Spine computed tomography · sagittal view
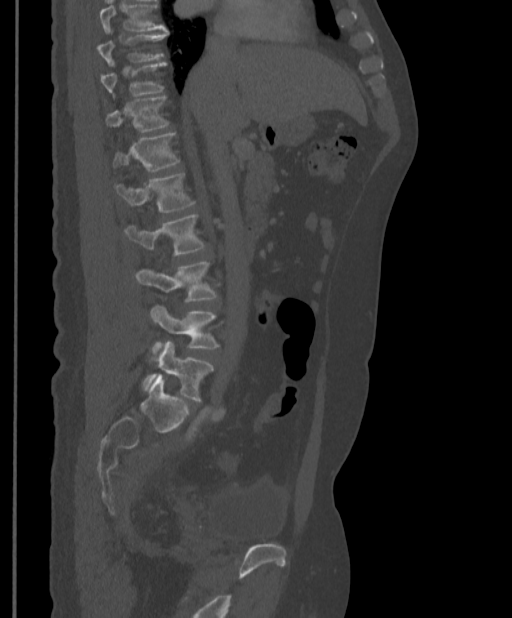 Boxes: x1:y1:x2:y2 in pixels.
Where the top of the scan cuts through a vertebra, that vertebra gets no label or box.
L5: 143:342:213:401
L4: 151:304:218:349
L3: 135:262:216:301
L2: 125:214:205:254
L1: 115:173:195:212
T12: 115:133:179:171
T11: 106:95:168:132
T10: 100:62:165:96
T9: 97:31:168:65